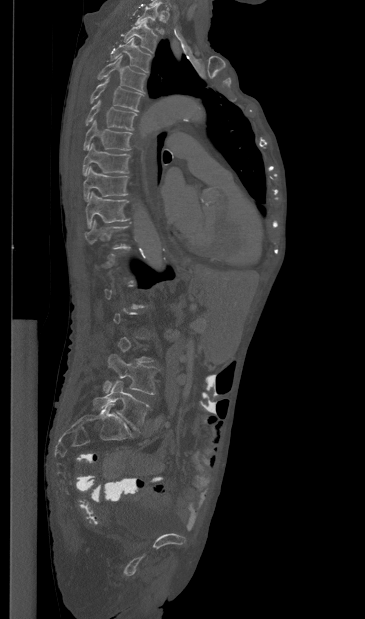 Computed tomography of the spine; sagittal view
Not every vertebra on this slice has a box: a vertebra is boxed only from the first to the last slice where its cross-section is at least a third of its largest, and this slice is outside that range for at least one of them.
<vertebrae><v name="L5" x1="93" y1="381" x2="149" y2="430"/><v name="L4" x1="103" y1="354" x2="158" y2="394"/><v name="T11" x1="84" y1="220" x2="128" y2="249"/><v name="T10" x1="85" y1="192" x2="129" y2="228"/><v name="T9" x1="83" y1="166" x2="128" y2="200"/><v name="T8" x1="82" y1="143" x2="130" y2="174"/><v name="T7" x1="83" y1="120" x2="132" y2="150"/><v name="T6" x1="85" y1="100" x2="136" y2="130"/><v name="T5" x1="90" y1="77" x2="143" y2="111"/><v name="T4" x1="97" y1="55" x2="146" y2="92"/><v name="T3" x1="110" y1="38" x2="151" y2="72"/><v name="T2" x1="122" y1="22" x2="158" y2="52"/><v name="T1" x1="135" y1="5" x2="163" y2="34"/></vertebrae>